CT, spine · sagittal reformat · 162 mm wide · Bone window (WL 400, WW 1800)
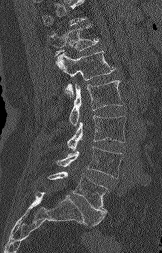 Vertebrae that run past the top of the scan are left unlabeled.
<vertebrae><v name="T12" x1="48" y1="26" x2="99" y2="55"/><v name="L1" x1="56" y1="51" x2="115" y2="97"/><v name="L2" x1="69" y1="80" x2="123" y2="126"/><v name="L3" x1="67" y1="115" x2="125" y2="150"/><v name="L4" x1="55" y1="146" x2="122" y2="178"/><v name="L5" x1="48" y1="171" x2="107" y2="226"/></vertebrae>